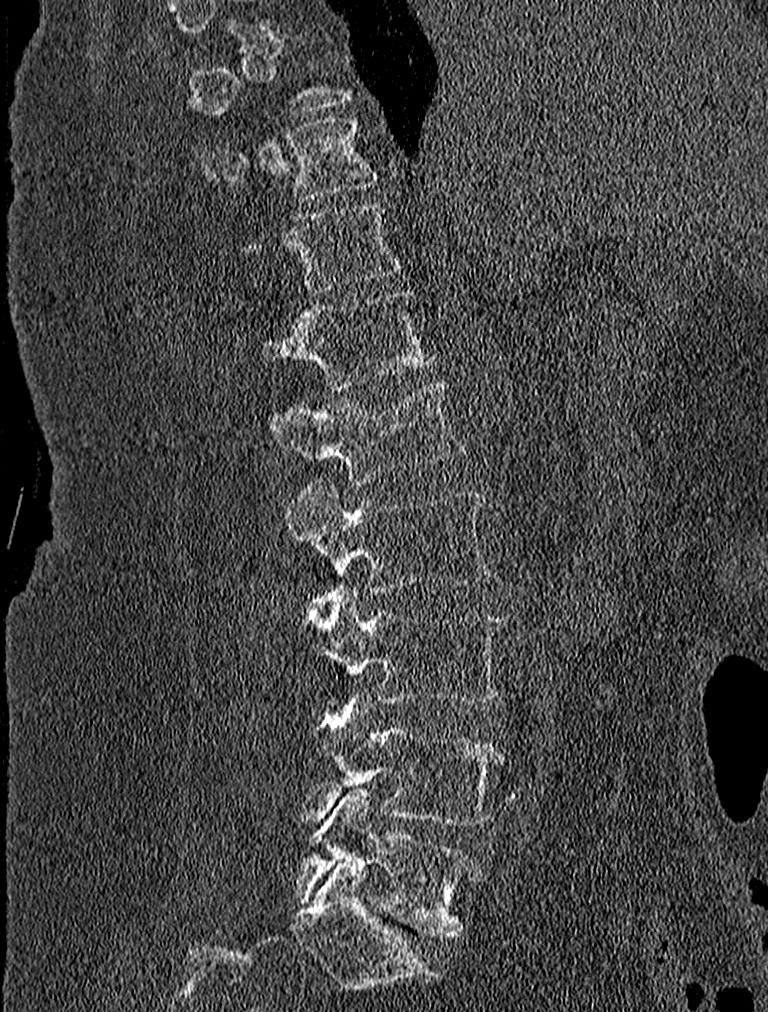
CT, spine · sagittal view
Box values are [left, top, right, bottom] in pixels.
A vertebra is boxed only from the first to the last slice where its cross-section is at least a third of its largest; slices outside that range leave it without a box.
{"vertebrae":{"L5":[294,787,482,938],"L4":[297,696,505,826],"L3":[301,588,505,704],"L2":[283,481,495,593],"L1":[269,379,465,483],"T12":[260,288,438,389],"T11":[238,202,400,293],"T10":[201,116,380,198]}}